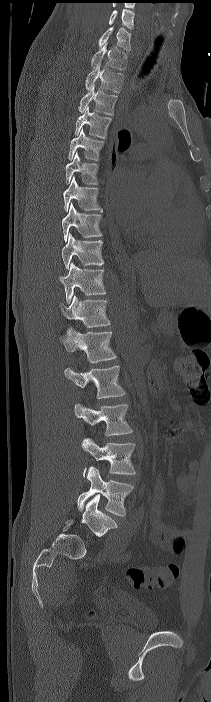 Computed tomography of the spine; sagittal view; image 211 mm wide
Coordinates as <box>x1,y1,x2,y2</box>. Labels in this scan begin with C7 at the top and end with L4 at the bottom. 17 vertebrae labeled — C7 at <box>98,26,131,50</box>; T1 at <box>91,43,127,70</box>; T2 at <box>85,63,123,92</box>; T3 at <box>78,85,117,115</box>; T4 at <box>74,106,111,138</box>; T5 at <box>68,127,104,160</box>; T6 at <box>66,151,98,184</box>; T7 at <box>63,176,102,212</box>; T8 at <box>62,203,102,241</box>; T9 at <box>61,233,104,269</box>; T10 at <box>59,262,106,303</box>; T11 at <box>56,294,110,327</box>; T12 at <box>59,327,116,362</box>; L1 at <box>64,365,125,398</box>; L2 at <box>74,403,132,435</box>; L3 at <box>81,438,135,476</box>; L4 at <box>77,466,133,516</box>.